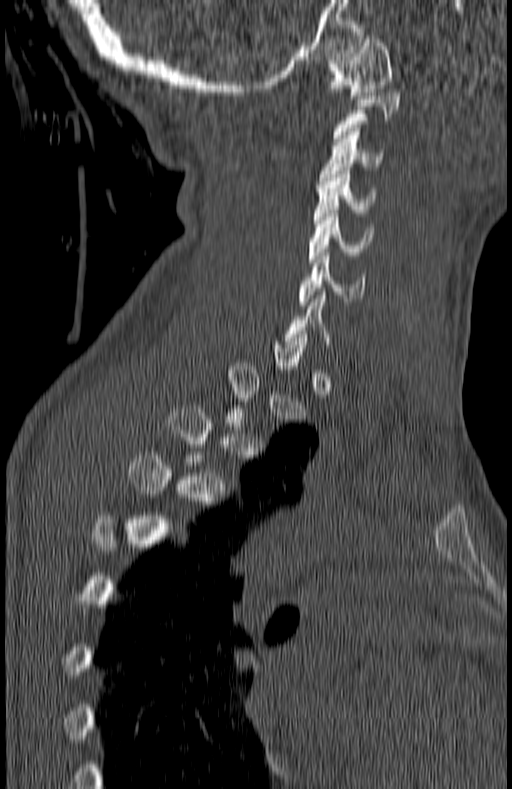 CT, spine. sagittal reformat. 512x789 px. Boxes: x1:y1:x2:y2 in pixels.
Each vertebra is boxed only on the slices from the first to the last where its cross-section reaches a third of its largest, so a slice outside that range leaves it unboxed.
C6: 300:252:364:308
C5: 308:210:373:262
C4: 314:171:373:223
C3: 319:128:383:184
C1: 328:36:392:99